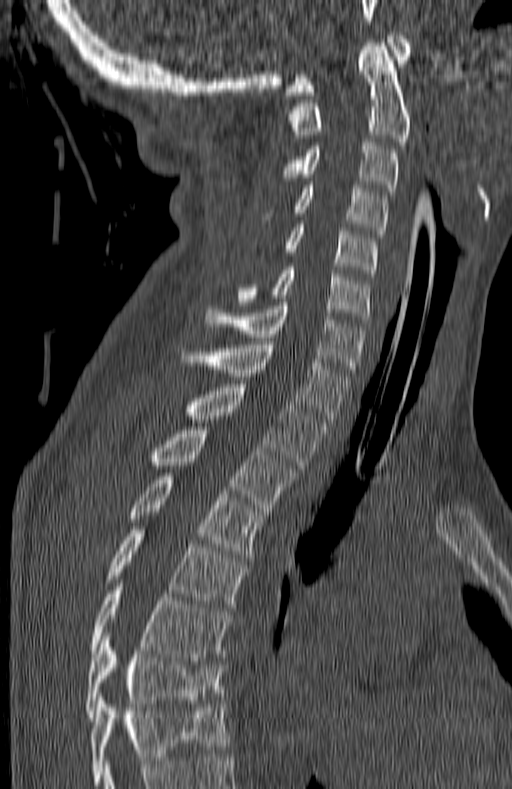
CT, spine. sagittal reformat. bone-window reconstruction. Coordinates as <box>x1,y1,x2,y2</box>.
In this scan, the topmost labeled vertebra is C1 and the lowest is T7.
T7: <box>86,633,222,721</box>
T6: <box>89,583,230,660</box>
T5: <box>106,526,247,607</box>
T4: <box>129,473,262,557</box>
T3: <box>152,427,296,511</box>
T2: <box>186,384,324,468</box>
T1: <box>183,341,350,422</box>
C7: <box>206,302,364,376</box>
C6: <box>237,267,370,323</box>
C5: <box>285,224,378,276</box>
C4: <box>294,185,387,237</box>
C3: <box>280,142,398,195</box>
C2: <box>288,43,410,145</box>
C1: <box>286,32,409,95</box>